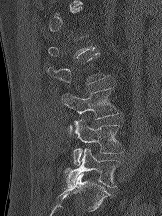 Computed tomography of the spine · sagittal view · 162x216 px · image width 162 mm
A vertebra is boxed only from the first to the last slice where its cross-section is at least a third of its largest; slices outside that range leave it without a box.
<vertebrae><v name="L5" x1="65" y1="148" x2="120" y2="187"/><v name="L4" x1="73" y1="118" x2="124" y2="165"/><v name="L3" x1="61" y1="87" x2="122" y2="133"/></vertebrae>